Spine CT — sagittal view — 384 mm across the image — 10 vertebrae labeled in this scan
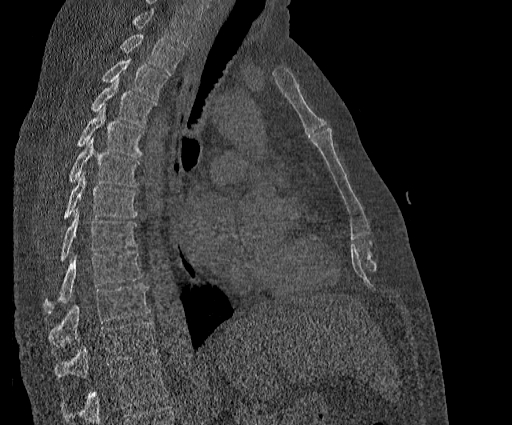 Boxes: x1 y1 x2 y2 (pixel coords, space-separated).
No box is given to a vertebra that the top edge of the scan cuts off.
Labels in this scan begin with T2 at the top and end with T11 at the bottom.
Vertebra bounding boxes:
- T2: 121 35 183 74
- T3: 102 57 167 99
- T4: 92 77 155 127
- T5: 78 105 143 156
- T6: 69 137 139 186
- T7: 64 172 137 218
- T8: 61 208 137 260
- T9: 44 251 143 314
- T10: 49 284 149 347
- T11: 54 321 157 378